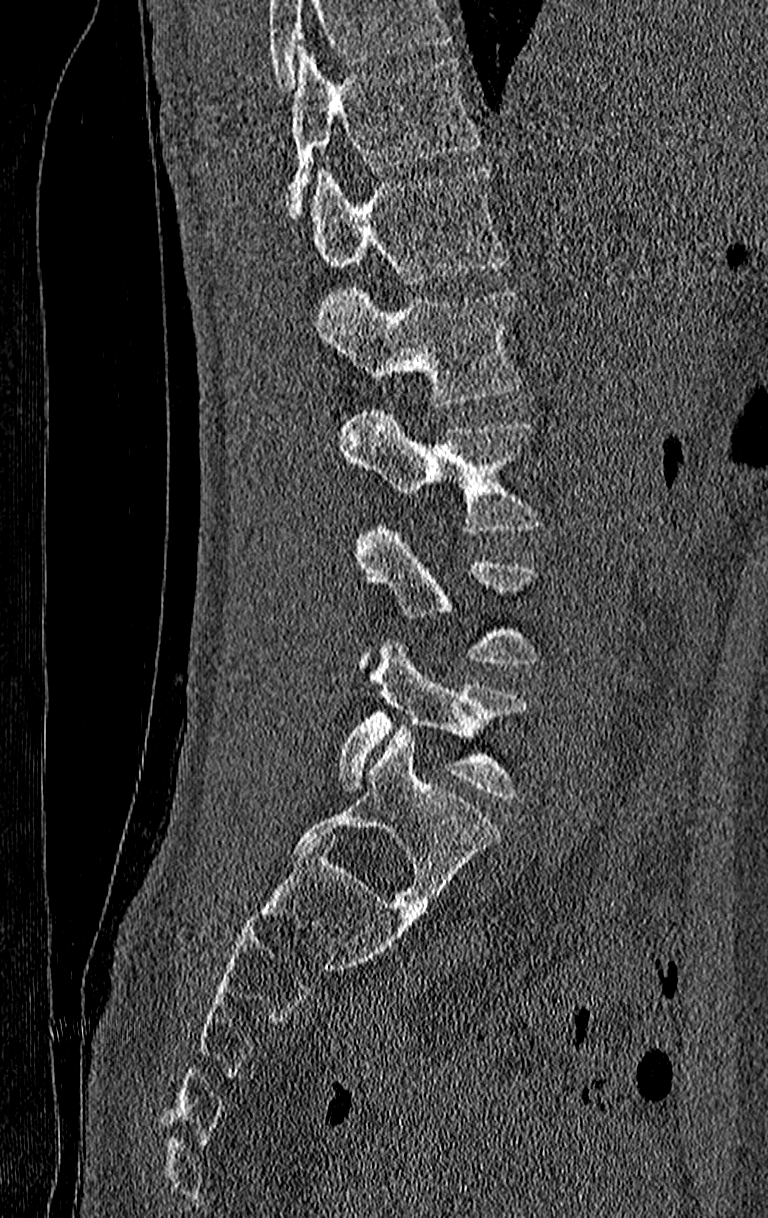 Spine CT. sagittal view. Bone window (WL 400, WW 1800). 768x1218 px. Each row gives a vertebra's box as x1, y1, x2, y2 in pixels: top-left corner, then bottom-right corner.
A vertebra cut off by the top edge of the scan is not labeled and has no box.
In this scan, the topmost labeled vertebra is T11 and the lowest is L4.
| vertebra | x1 | y1 | x2 | y2 |
|---|---|---|---|---|
| T11 | 288 | 46 | 480 | 220 |
| T12 | 310 | 166 | 506 | 282 |
| L1 | 313 | 286 | 521 | 405 |
| L2 | 339 | 406 | 543 | 534 |
| L3 | 353 | 523 | 539 | 666 |
| L4 | 339 | 640 | 528 | 800 |